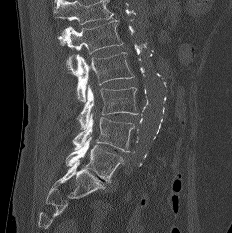

Spine computed tomography. sagittal view. 232x233 px. Bounding boxes as [x1, y1, x2, y2] in pixel coordinates. No box is given to a vertebra that the top edge of the scan cuts off. 5 vertebrae labeled — L5 at [66, 137, 124, 184]; L4 at [72, 114, 135, 152]; L3 at [77, 85, 138, 130]; L2 at [66, 52, 134, 102]; L1 at [58, 19, 123, 69].